Computed tomography of the spine. sagittal view. bone-window reconstruction. 512x712 px
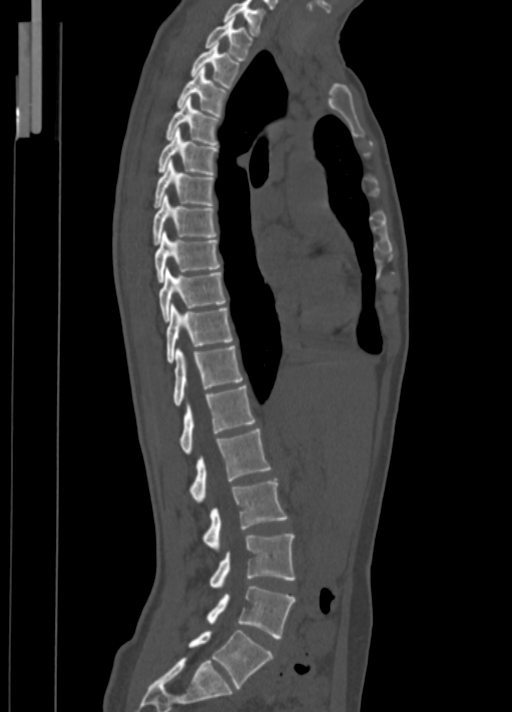

Each box given as x1,y1,x2,y2.
C7: x1=224, y1=0, x2=266, y2=36
T1: x1=205, y1=18, x2=252, y2=60
T2: x1=190, y1=42, x2=240, y2=88
T3: x1=177, y1=66, x2=228, y2=116
T4: x1=165, y1=97, x2=220, y2=145
T5: x1=158, y1=129, x2=218, y2=175
T6: x1=154, y1=159, x2=214, y2=208
T7: x1=152, y1=195, x2=217, y2=245
T8: x1=155, y1=231, x2=220, y2=283
T9: x1=159, y1=268, x2=226, y2=322
T10: x1=167, y1=304, x2=233, y2=363
T11: x1=172, y1=345, x2=243, y2=406
T12: x1=180, y1=385, x2=255, y2=454
L1: x1=188, y1=429, x2=271, y2=502
L2: x1=202, y1=478, x2=287, y2=549
L3: x1=209, y1=534, x2=294, y2=587
L4: x1=206, y1=585, x2=296, y2=638
L5: x1=188, y1=629, x2=272, y2=688